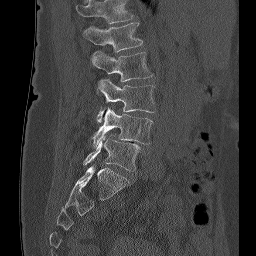 CT, spine — sagittal view — W/L 1800/400 HU

Box edges are left/top/right/bottom in pixels.
The highest labeled vertebra in this scan is L1; the lowest is L5.
| vertebra | x1 | y1 | x2 | y2 |
|---|---|---|---|---|
| L5 | 83 | 136 | 140 | 171 |
| L4 | 92 | 108 | 153 | 145 |
| L3 | 97 | 79 | 155 | 122 |
| L2 | 91 | 51 | 153 | 95 |
| L1 | 83 | 22 | 143 | 52 |